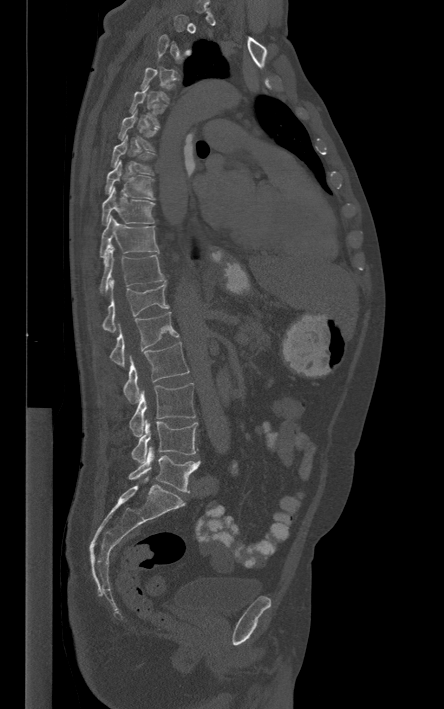

Spine computed tomography. sagittal view. 444x709 px
Each vertebra is boxed only on the slices from the first to the last where its cross-section reaches a third of its largest, so a slice outside that range leaves it unboxed.
<vertebrae><v name="L5" x1="128" y1="447" x2="199" y2="492"/><v name="L4" x1="131" y1="420" x2="197" y2="462"/><v name="L3" x1="129" y1="383" x2="195" y2="436"/><v name="L2" x1="123" y1="342" x2="189" y2="404"/><v name="L1" x1="110" y1="312" x2="179" y2="366"/><v name="T12" x1="102" y1="277" x2="169" y2="332"/><v name="T11" x1="99" y1="247" x2="165" y2="294"/><v name="T10" x1="100" y1="215" x2="158" y2="257"/><v name="T9" x1="101" y1="186" x2="154" y2="223"/><v name="T8" x1="105" y1="160" x2="154" y2="199"/><v name="T7" x1="111" y1="135" x2="154" y2="174"/><v name="T6" x1="118" y1="110" x2="158" y2="150"/><v name="T5" x1="129" y1="86" x2="166" y2="126"/></vertebrae>